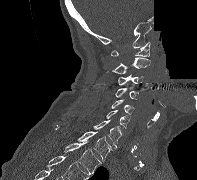

Spine computed tomography; sagittal view; W/L 1800/400 HU; 197x180 px; part of the scan has been removed (filled with constant black)

Coordinates as <box>x1,y1,x2,y2</box>.
T2: <box>64,142,101,174</box>
T1: <box>54,125,112,160</box>
C7: <box>93,120,121,147</box>
C6: <box>106,110,128,128</box>
C5: <box>111,99,134,121</box>
C4: <box>115,88,138,99</box>
C3: <box>118,74,143,85</box>
C2: <box>112,57,150,74</box>
C1: <box>111,42,150,56</box>